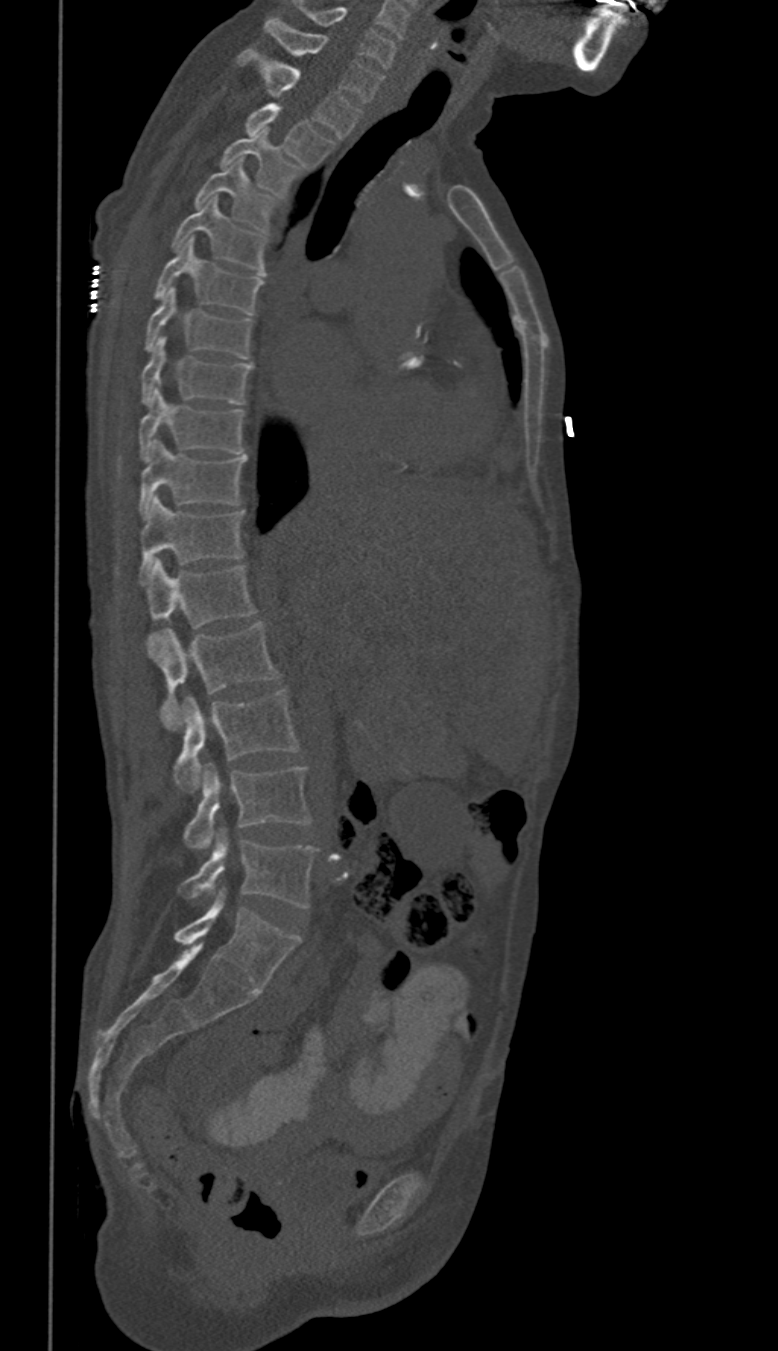 Spine CT — sagittal view. Coordinates as <box>x1,y1,x2,y2</box>.
In these labels the spine has no T12: the thoracic vertebrae end at T11, and L1 comes next.
C6: <box>295,2,394,68</box>
C7: <box>264,18,383,102</box>
T1: <box>237,47,361,137</box>
T2: <box>245,103,335,166</box>
T3: <box>220,129,298,195</box>
T4: <box>194,160,274,228</box>
T5: <box>173,198,265,275</box>
T6: <box>155,238,263,315</box>
T7: <box>146,287,253,357</box>
T8: <box>141,338,253,404</box>
T9: <box>140,387,244,462</box>
T10: <box>140,440,248,517</box>
T11: <box>140,496,244,579</box>
L1: <box>146,560,254,655</box>
L2: <box>158,623,279,731</box>
L3: <box>173,689,298,791</box>
L4: <box>184,763,310,851</box>
L5: <box>179,829,316,908</box>